Computed tomography of the spine — sagittal plane, index 319
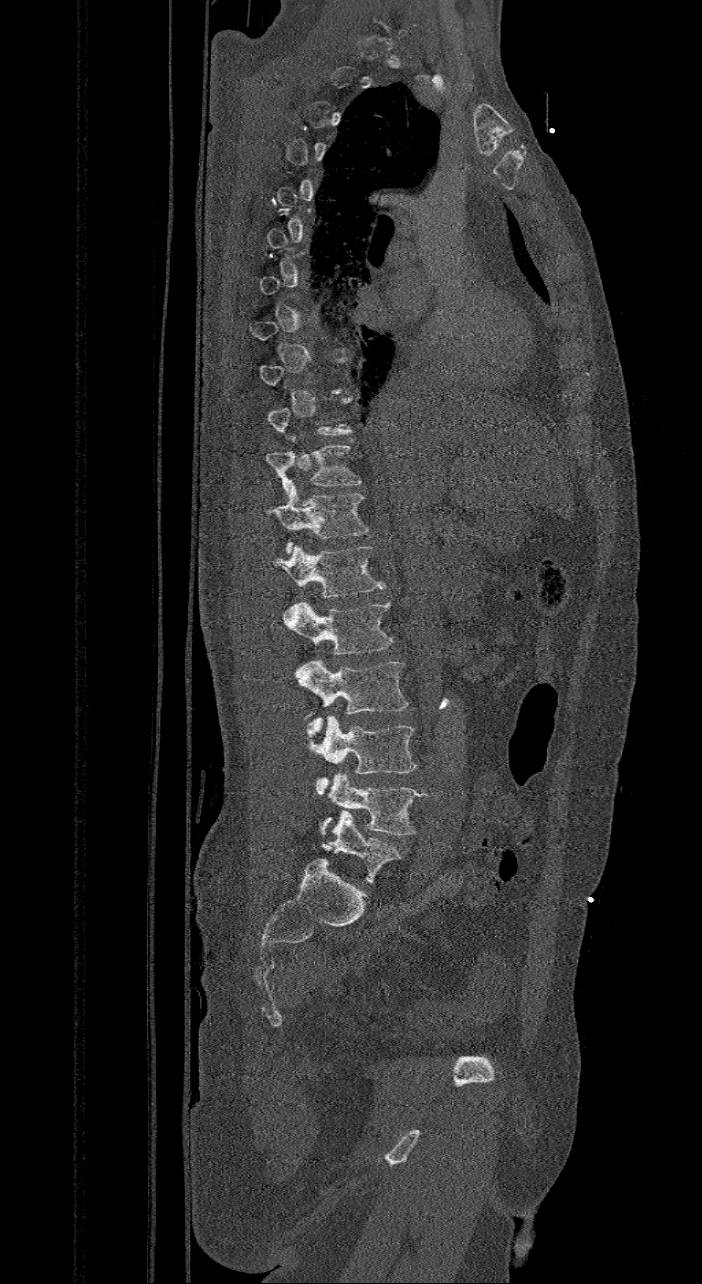 Box edges are left/top/right/bottom in pixels.
A vertebra is boxed only from the first to the last slice where its cross-section is at least a third of its largest; slices outside that range leave it without a box.
These labels give the spine a sixth lumbar vertebra, L6, below L5.
Vertebra bounding boxes:
- T11: left=266, top=444, right=362, bottom=493
- T12: left=266, top=482, right=369, bottom=553
- L1: left=273, top=545, right=385, bottom=596
- L2: left=282, top=600, right=394, bottom=655
- L3: left=295, top=659, right=409, bottom=736
- L4: left=304, top=714, right=417, bottom=795
- L5: left=319, top=773, right=427, bottom=835
- L6: left=322, top=812, right=401, bottom=883